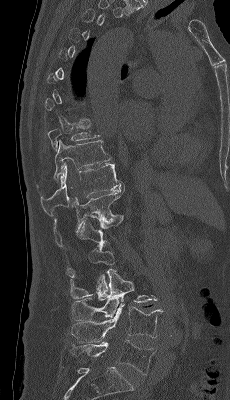

Computed tomography of the spine · sagittal view
Each box is [x1, y1, x2, y2] in pixels: top-left corner, then bottom-right corner.
Not every vertebra on this slice has a box: a vertebra is boxed only from the first to the last slice where its cross-section is at least a third of its largest, and this slice is outside that range for at least one of them.
{"vertebrae":{"T9":[47,123,99,149],"T10":[36,140,110,187],"T11":[40,164,123,216],"T12":[53,185,126,247],"L1":[67,215,123,275],"L2":[70,244,114,298],"L3":[71,269,157,320],"L4":[71,300,163,342],"L5":[70,340,156,375]}}